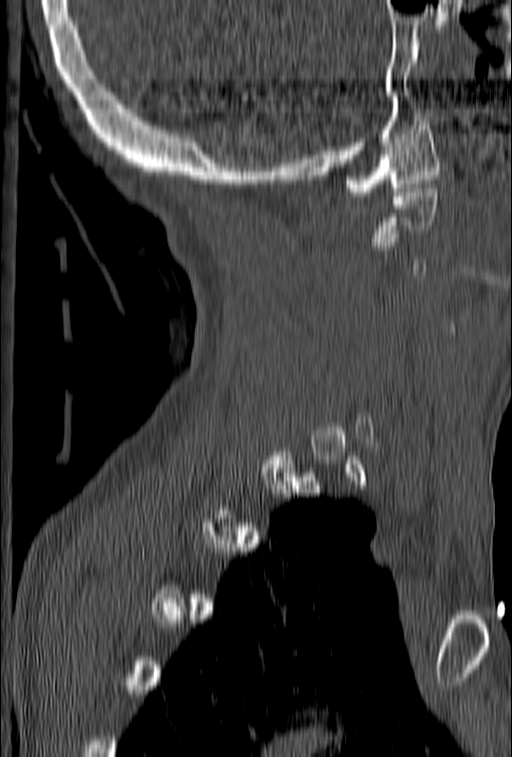 Spine computed tomography; sagittal reformat; 512x757 px
A vertebra gets a box only on the slices from the first to the last where its cross-section is at least a third of its largest; on a slice outside that range it gets none.
<vertebrae><v name="C1" x1="343" y1="121" x2="440" y2="196"/><v name="C2" x1="369" y1="184" x2="439" y2="246"/></vertebrae>